CT. sagittal view. 231 mm across the image. bone-window reconstruction
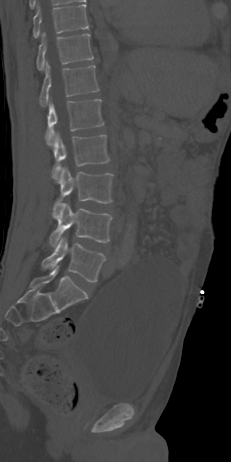

Each row gives a vertebra's box as x1, y1, x2, y2 in pixels: top-left corner, then bottom-right corner.
| vertebra | x1 | y1 | x2 | y2 |
|---|---|---|---|---|
| T10 | 33 | 5 | 88 | 37 |
| T11 | 36 | 32 | 93 | 70 |
| T12 | 39 | 62 | 99 | 106 |
| L1 | 46 | 99 | 104 | 145 |
| L2 | 52 | 133 | 109 | 179 |
| L3 | 53 | 166 | 113 | 212 |
| L4 | 49 | 203 | 112 | 247 |
| L5 | 41 | 236 | 105 | 282 |